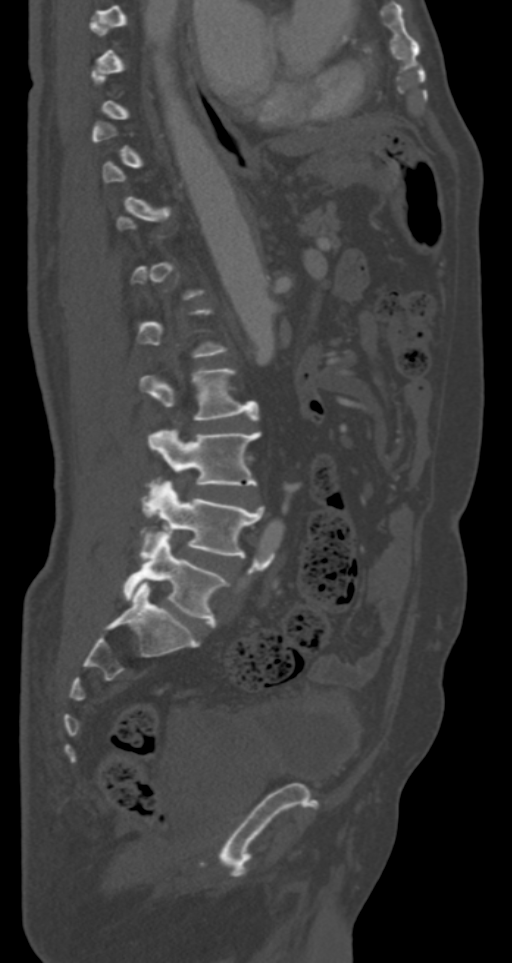 CT, spine · sagittal view · bone window
Each box is [x1, y1, x2, y2] in pixels: top-left corner, then bottom-right corner.
Not every vertebra on this slice has a box: a vertebra is boxed only from the first to the last slice where its cross-section is at least a third of its largest, and this slice is outside that range for at least one of them.
{"vertebrae":{"L2":[141,368,259,420],"L3":[148,428,261,496],"L4":[141,481,264,557],"L5":[123,533,227,627]}}